Spine computed tomography — Sagittal slice 296/512 — 336 mm across the image — W/L 1800/400 HU
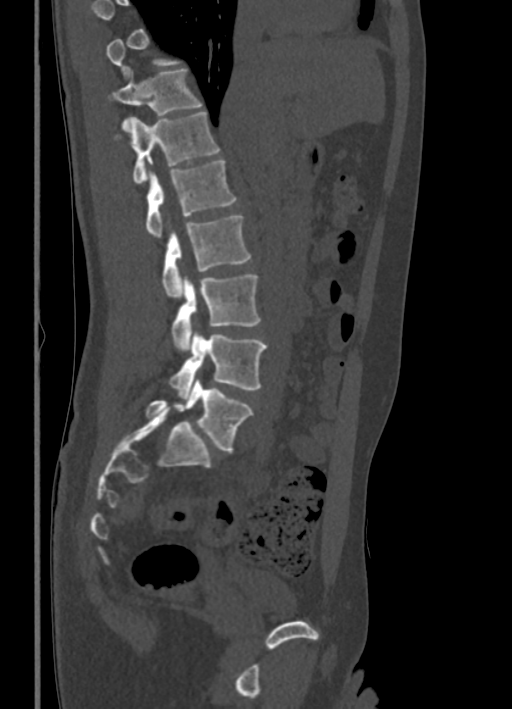 Each box is [x1, y1, x2, y2] in pixels: top-left corner, then bottom-right corner.
A vertebra is boxed only from the first to the last slice where its cross-section is at least a third of its largest; slices outside that range leave it without a box.
{"vertebrae":{"T11":[109,68,203,132],"T12":[116,111,220,183],"L1":[146,160,237,237],"L2":[163,215,250,298],"L3":[172,274,261,349],"L4":[169,331,267,398],"L5":[146,379,253,451]}}